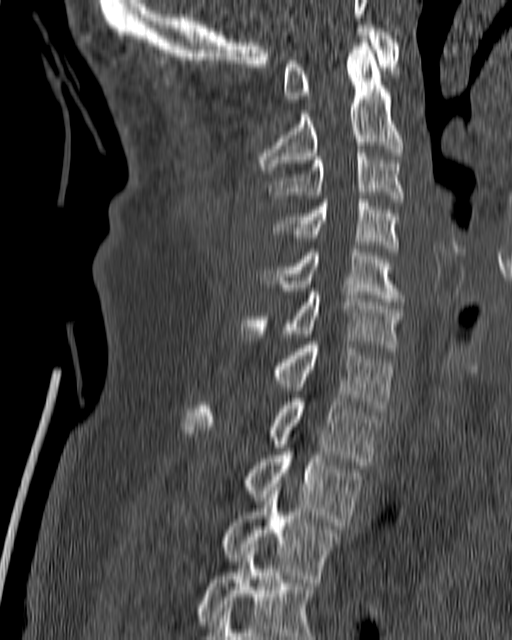
CT; sagittal view; Bone window (WL 400, WW 1800); 512x640 px

Boxes: x1 y1 x2 y2 (pixel coords, space-separated). Vertebrae labeled: C1 at 283 25 400 102, C2 at 257 36 404 173, C3 at 269 149 404 205, C4 at 274 199 398 251, C5 at 263 249 404 305, C6 at 239 288 404 347, C7 at 271 341 395 411, T1 at 183 398 378 465, T2 at 240 452 364 525, T3 at 220 484 341 579, T4 at 197 544 316 639.